CT spine — Sagittal slice 203/380 — bone window — scan covers 18 annotated vertebrae
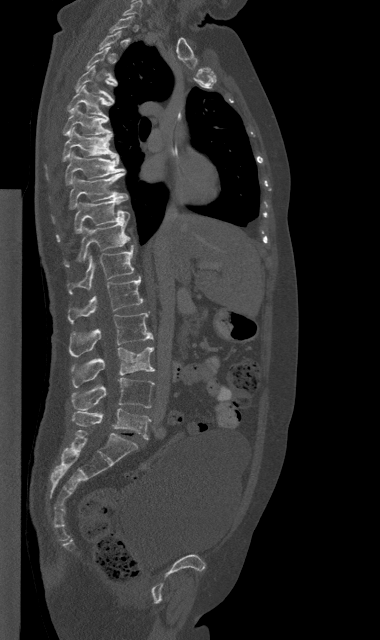

A vertebra is boxed only from the first to the last slice where its cross-section is at least a third of its largest; slices outside that range leave it without a box.
<vertebrae><v name="C7" x1="123" y1="1" x2="141" y2="15"/><v name="T3" x1="86" y1="47" x2="117" y2="83"/><v name="T4" x1="75" y1="66" x2="116" y2="101"/><v name="T5" x1="68" y1="85" x2="113" y2="118"/><v name="T6" x1="63" y1="106" x2="111" y2="135"/><v name="T7" x1="45" y1="128" x2="118" y2="177"/><v name="T8" x1="65" y1="152" x2="125" y2="184"/><v name="T9" x1="51" y1="172" x2="128" y2="224"/><v name="T10" x1="56" y1="198" x2="129" y2="240"/><v name="T11" x1="65" y1="220" x2="129" y2="265"/><v name="T12" x1="67" y1="245" x2="134" y2="293"/><v name="L1" x1="68" y1="276" x2="143" y2="323"/><v name="L2" x1="69" y1="313" x2="153" y2="356"/><v name="L3" x1="71" y1="347" x2="154" y2="387"/><v name="L4" x1="71" y1="377" x2="154" y2="410"/><v name="L5" x1="72" y1="408" x2="150" y2="439"/></vertebrae>